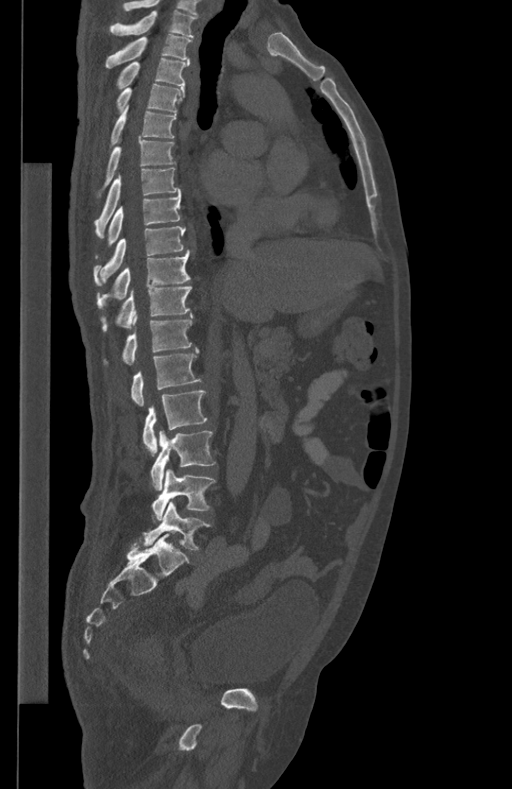
CT, spine. sagittal reformat. 512x789 px
Boxes: x1 y1 x2 y2 (pixel coords, space-separated). 17 vertebrae labeled — T1 at 110 10 197 37; T2 at 105 34 192 68; T3 at 117 57 189 87; T4 at 117 84 184 112; T5 at 111 106 177 144; T6 at 104 139 175 187; T7 at 94 167 179 237; T8 at 95 189 181 258; T9 at 93 226 185 286; T10 at 97 252 190 308; T11 at 101 287 191 331; T12 at 104 313 193 364; L1 at 131 348 201 406; L2 at 143 390 207 456; L3 at 151 430 216 490; L4 at 152 469 215 520; L5 at 144 501 211 550.